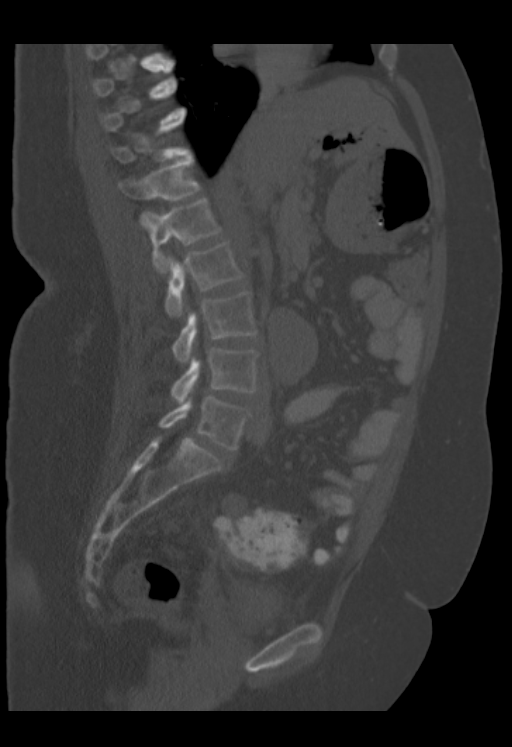 CT spine — sagittal view — 512x747 px
A vertebra is boxed only from the first to the last slice where its cross-section is at least a third of its largest; slices outside that range leave it without a box.
In this scan, the topmost labeled vertebra is T9 and the lowest is L5.
<vertebrae><v name="T9" x1="93" y1="63" x2="176" y2="96"/><v name="T11" x1="111" y1="119" x2="189" y2="163"/><v name="T12" x1="118" y1="155" x2="201" y2="222"/><v name="L1" x1="142" y1="199" x2="221" y2="272"/><v name="L2" x1="165" y1="241" x2="243" y2="317"/><v name="L3" x1="172" y1="292" x2="257" y2="362"/><v name="L4" x1="170" y1="348" x2="259" y2="404"/><v name="L5" x1="158" y1="396" x2="250" y2="449"/></vertebrae>